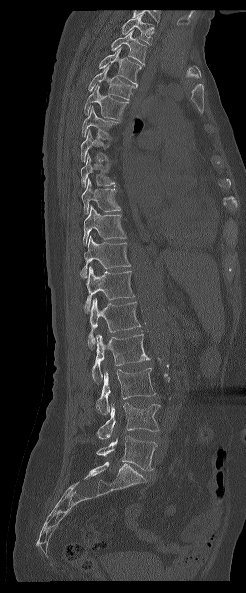 CT. sagittal view. bone window. 246x593 px. 246 mm across the image
Each vertebra maps to its box as [x1, y1, x2, y2], the pixel coordinates of its top-left and bottom-right corners.
Not every vertebra on this slice has a box: a vertebra is boxed only from the first to the last slice where its cross-section is at least a third of its largest, and this slice is outside that range for at least one of them.
Labels in this scan begin with T1 at the top and end with L5 at the bottom.
{"vertebrae":{"L5":[96,436,156,470],"L4":[96,403,160,440],"L3":[96,368,155,414],"L2":[92,334,150,382],"L1":[88,299,140,349],"T12":[83,266,134,313],"T11":[80,236,130,278],"T10":[83,206,125,244],"T9":[81,178,120,214],"T8":[81,153,115,186],"T6":[82,106,118,139],"T5":[84,86,128,119],"T4":[88,65,135,100],"T3":[99,47,141,87],"T2":[111,30,146,66],"T1":[120,13,152,44]}}